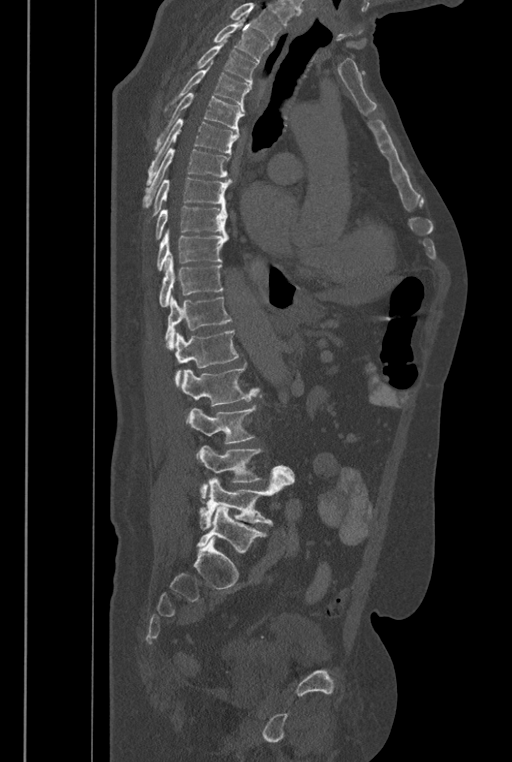

Computed tomography of the spine; sagittal view; 512x762 px
Each row gives a vertebra's box as x1, y1, x2, y2 in pixels: top-left corner, then bottom-right corner.
No box is given to a vertebra that the top edge of the scan cuts off.
The labels name a sixth lumbar vertebra for this spine: L6, after L5.
| vertebra | x1 | y1 | x2 | y2 |
|---|---|---|---|---|
| L6 | 196 | 505 | 266 | 553 |
| L5 | 198 | 469 | 294 | 530 |
| L4 | 197 | 445 | 295 | 498 |
| L3 | 188 | 395 | 262 | 443 |
| L2 | 181 | 363 | 259 | 422 |
| L1 | 174 | 330 | 239 | 386 |
| T12 | 165 | 295 | 232 | 349 |
| T11 | 158 | 254 | 223 | 307 |
| T10 | 156 | 229 | 229 | 272 |
| T9 | 155 | 206 | 227 | 241 |
| T8 | 148 | 177 | 233 | 221 |
| T7 | 142 | 149 | 231 | 208 |
| T6 | 146 | 119 | 239 | 185 |
| T5 | 153 | 93 | 244 | 151 |
| T4 | 171 | 60 | 250 | 112 |
| T3 | 197 | 38 | 257 | 88 |
| T2 | 213 | 15 | 269 | 62 |